CT spine; sagittal reformat; image width 446 mm; 512x762 px
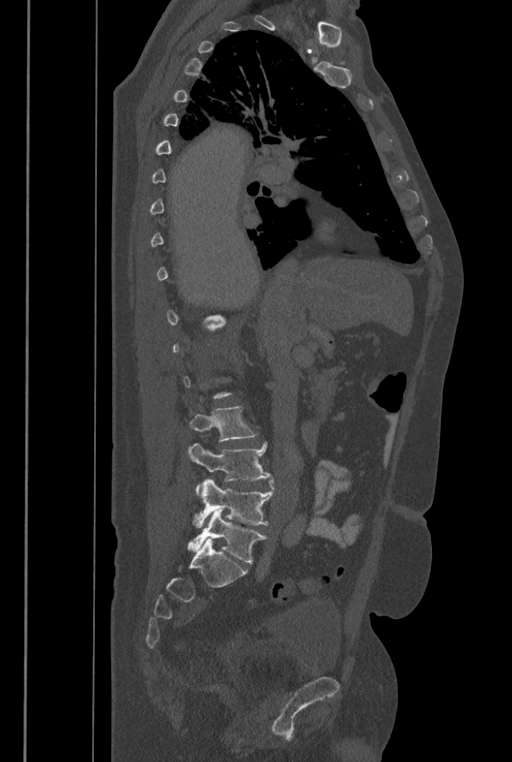

Boxes are (x1, y1, x2, y2) in pixels. Not every vertebra on this slice has a box: a vertebra is boxed only from the first to the last slice where its cross-section is at least a third of its largest, and this slice is outside that range for at least one of them. These labels give the spine a sixth lumbar vertebra, L6, below L5. 4 vertebrae labeled — L3 at (190, 407, 254, 441); L4 at (188, 443, 271, 494); L5 at (193, 477, 274, 527); L6 at (186, 508, 265, 563).